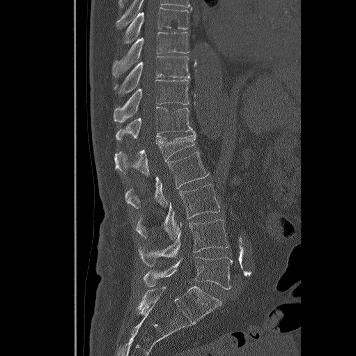
Computed tomography of the spine; sagittal view

Box edges are left/top/right/bottom in pixels.
Vertebra bounding boxes:
- T8: left=122, top=7, right=192, bottom=44
- T9: left=112, top=32, right=189, bottom=76
- T10: left=113, top=56, right=190, bottom=94
- T11: left=113, top=79, right=188, bottom=122
- T12: left=115, top=106, right=193, bottom=140
- L1: left=114, top=131, right=195, bottom=175
- L2: left=125, top=151, right=209, bottom=209
- L3: left=135, top=184, right=219, bottom=238
- L4: left=138, top=217, right=228, bottom=265
- L5: left=144, top=257, right=232, bottom=289